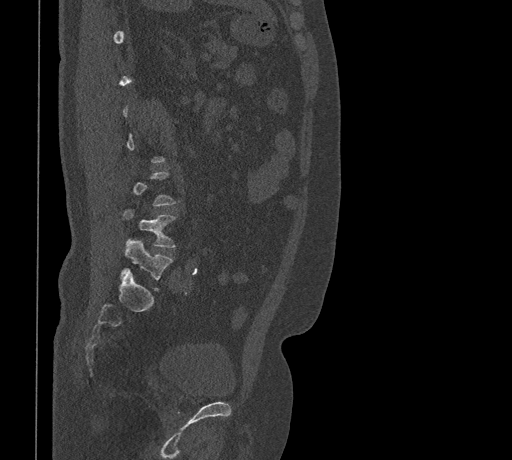 CT spine — sagittal view — Bone window (WL 400, WW 1800) — image width 461 mm. Columns x1, y1, x2, y2 give each box's top-left and bottom-right pixels.
Each vertebra is boxed only on the slices from the first to the last where its cross-section reaches a third of its largest, so a slice outside that range leaves it unboxed.
| vertebra | x1 | y1 | x2 | y2 |
|---|---|---|---|---|
| L4 | 123 | 209 | 175 | 247 |
| L5 | 121 | 239 | 172 | 289 |